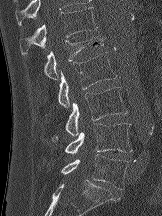 CT, spine · sagittal view · W/L 1800/400 HU · 162x216 px · image 162 mm wide
Box values are [left, top, right, bottom] in pixels.
{"vertebrae":{"T12":[20,7,97,54],"L1":[43,36,105,79],"L2":[57,52,116,107],"L3":[52,87,127,141],"L4":[64,123,132,153],"L5":[60,154,128,189]}}